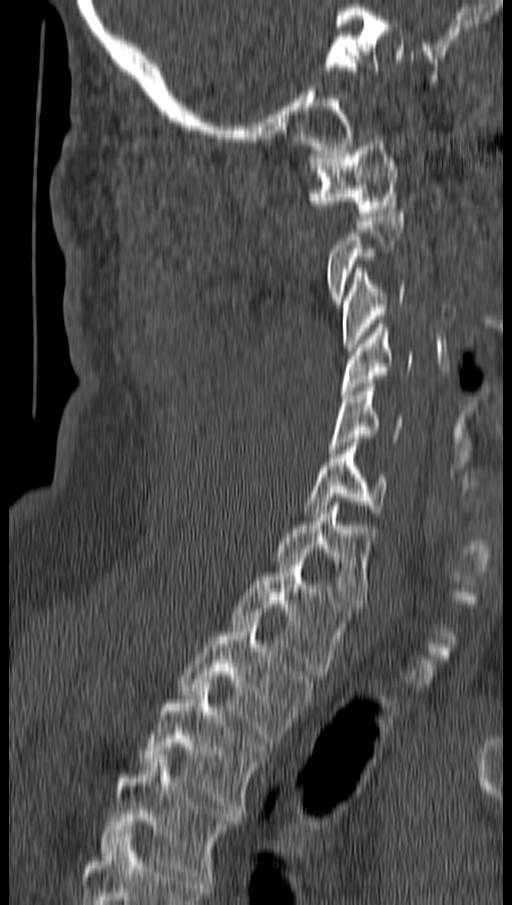
CT spine; sagittal view; bone window

Coordinates as <box>x1,y1,x2,y2</box>.
Each vertebra is boxed only on the slices from the first to the last where its cross-section reaches a third of its largest, so a slice outside that range leaves it unboxed.
C1: <box>311,138,399,216</box>
C3: <box>342,265,405,351</box>
C4: <box>339,324,412,398</box>
C5: <box>330,383,401,453</box>
C6: <box>304,442,386,517</box>
C7: <box>276,502,370,607</box>
T1: <box>232,557,348,675</box>
T2: <box>178,620,313,742</box>
T3: <box>140,683,266,813</box>
T4: <box>102,755,237,880</box>